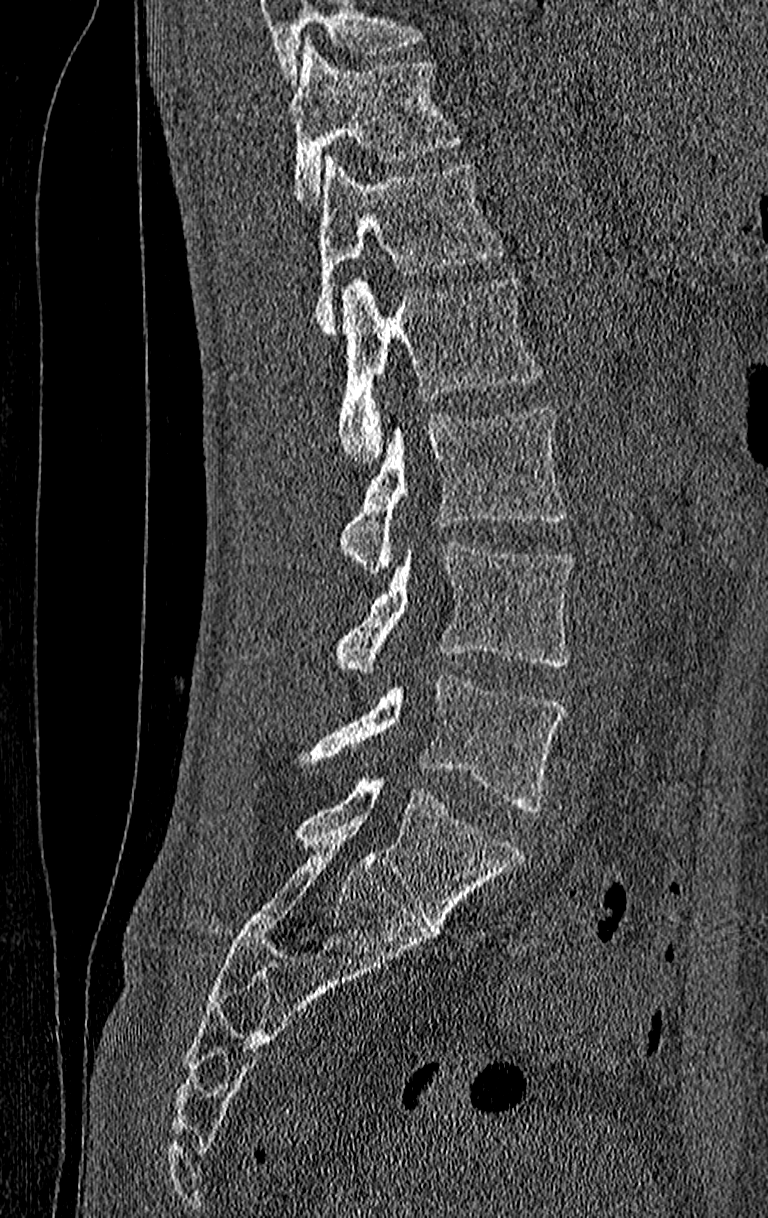

CT · sagittal view
Boxes: x1 y1 x2 y2 (pixel coords, space-separated). No box is given to a vertebra that the top edge of the scan cuts off. The highest labeled vertebra in this scan is T11; the lowest is L4. Vertebrae labeled: T11 at 291 41 462 205, T12 at 317 155 506 331, L1 at 339 275 543 465, L2 at 342 406 565 573, L3 at 335 541 575 672, L4 at 306 673 565 812.